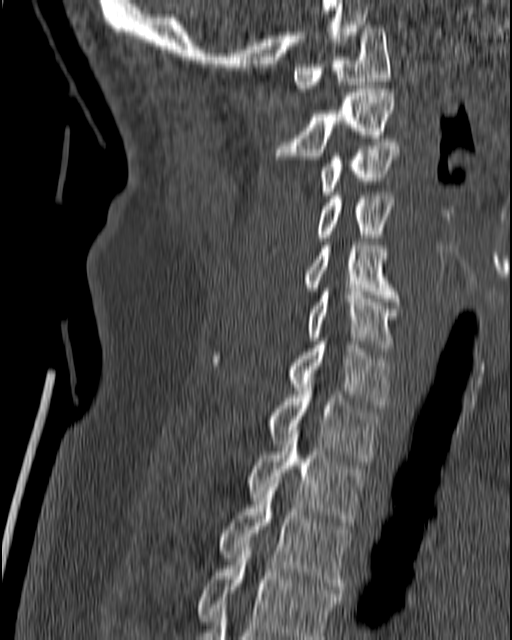

Spine computed tomography. sagittal view
Box values are [left, top, right, bottom] in pixels.
{"vertebrae":{"C1":[291,25,390,91],"C2":[271,89,395,159],"C3":[319,142,399,195],"C4":[271,192,394,248],"C5":[302,242,401,301],"C6":[305,288,398,351],"C7":[214,341,390,408],"T1":[265,388,378,461],"T2":[246,430,367,529],"T3":[217,480,350,593],"T4":[196,544,341,639]}}